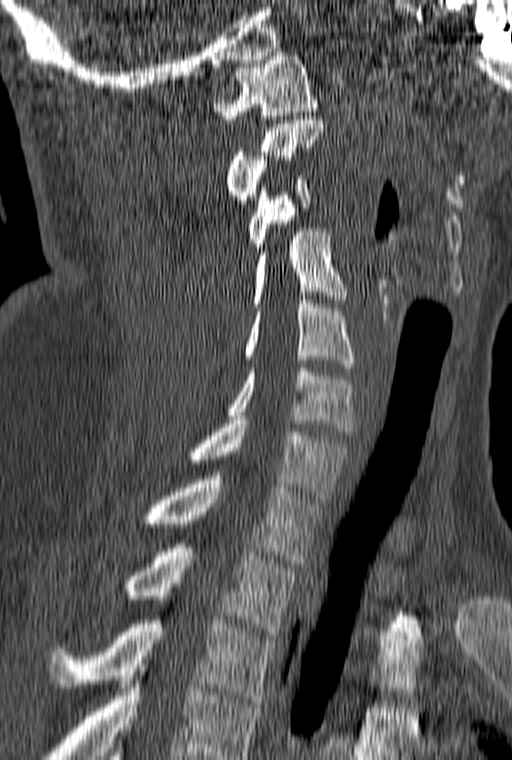
Computed tomography of the spine; sagittal view; Bone window (WL 400, WW 1800); 512x760 px. Box edges are left/top/right/bottom in pixels.
The highest labeled vertebra in this scan is C1; the lowest is T3.
| vertebra | x1 | y1 | x2 | y2 |
|---|---|---|---|---|
| C1 | 213 | 52 | 318 | 123 |
| C2 | 226 | 120 | 324 | 207 |
| C3 | 248 | 176 | 311 | 251 |
| C4 | 251 | 228 | 346 | 307 |
| C5 | 244 | 300 | 355 | 367 |
| C6 | 226 | 368 | 355 | 435 |
| C7 | 190 | 420 | 349 | 499 |
| T1 | 140 | 472 | 321 | 563 |
| T2 | 126 | 544 | 298 | 635 |
| T3 | 49 | 620 | 275 | 703 |